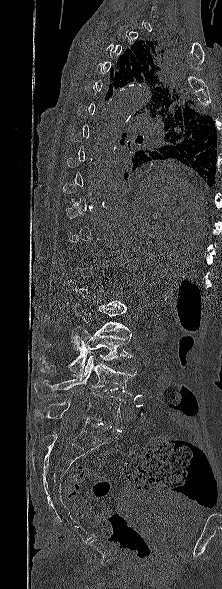 CT spine · sagittal reformat · 222 mm across the image · bone-window reconstruction · 222x589 px
Box values are [left, top, right, bottom] in pixels.
Not every vertebra on this slice has a box: a vertebra is boxed only from the first to the last slice where its cross-section is at least a third of its largest, and this slice is outside that range for at least one of them.
{"vertebrae":{"L2":[73,301,129,348],"L3":[40,326,133,376],"L4":[34,355,136,398],"L5":[36,393,123,431]}}